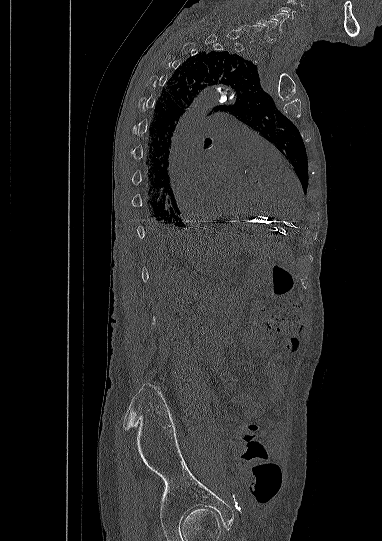

Spine CT · sagittal view · Bone window (WL 400, WW 1800) · 382x541 px
A vertebra is boxed only from the first to the last slice where its cross-section is at least a third of its largest; slices outside that range leave it without a box.
This scan's labels start at C5 at the top and end at L5 at the bottom.
<vertebrae><v name="C5" x1="271" y1="13" x2="288" y2="30"/><v name="C6" x1="256" y1="20" x2="276" y2="42"/></vertebrae>